CT · sagittal plane, index 83 · W/L 1800/400 HU · 3 vertebrae labeled in this scan
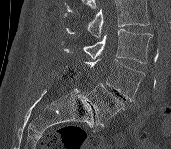

Each box given as x1,y1,x2,y2. No box is given to a vertebra that the top edge of the scan cuts off. Vertebrae labeled: L3 at x1=61, y1=29, x2=152, y2=63, L4 at x1=83, y1=58, x2=145, y2=101, L5 at x1=83, y1=83, x2=124, y2=126.